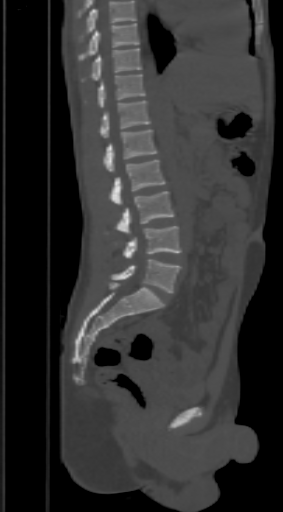

Spine CT. sagittal reformat. W/L 1800/400 HU
In the table, x1 and y1 are a box's top-left corner and x2 and y2 its bottom-right corner, in pixels.
No box is given to a vertebra that the top edge of the scan cuts off.
| vertebra | x1 | y1 | x2 | y2 |
|---|---|---|---|---|
| T9 | 78 | 23 | 139 | 61 |
| T10 | 81 | 48 | 142 | 82 |
| T11 | 98 | 74 | 145 | 107 |
| T12 | 101 | 101 | 150 | 138 |
| L1 | 104 | 129 | 156 | 172 |
| L2 | 109 | 159 | 164 | 205 |
| L3 | 115 | 191 | 173 | 234 |
| L4 | 123 | 226 | 181 | 258 |
| L5 | 112 | 259 | 181 | 293 |